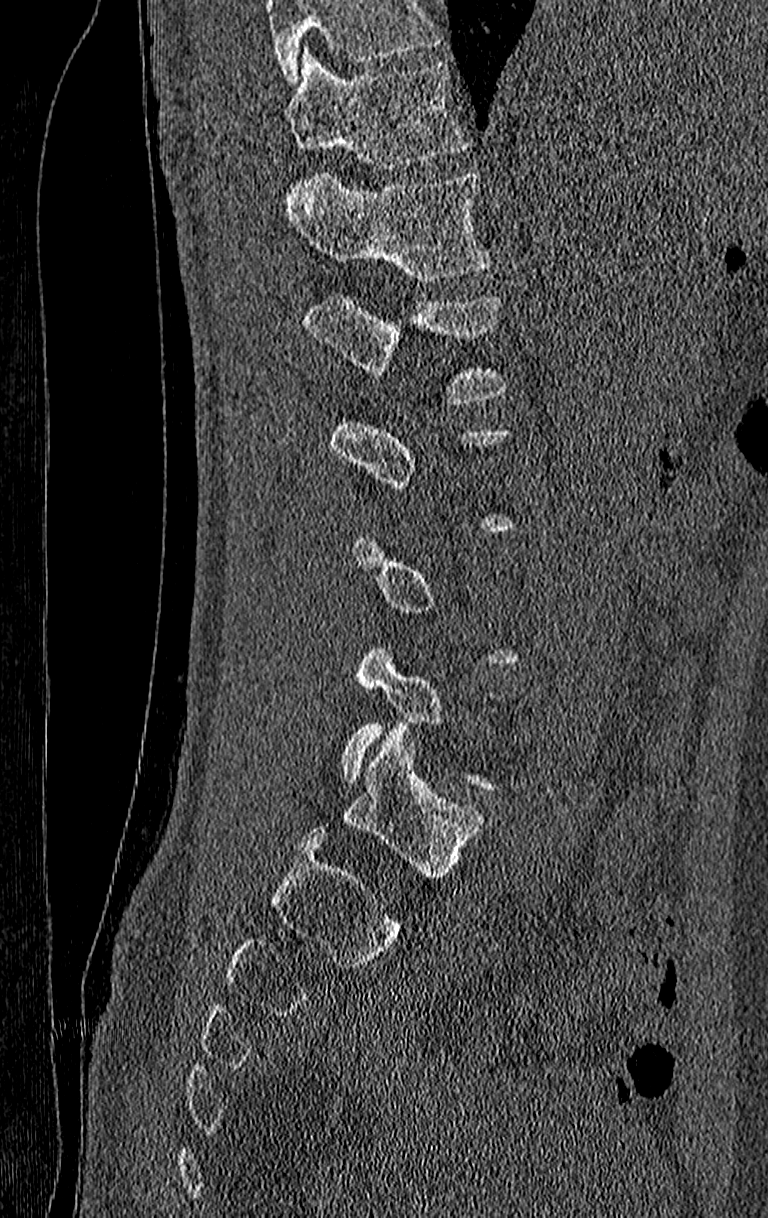
Spine computed tomography · sagittal reformat
A vertebra gets a box only on the slices from the first to the last where its cross-section is at least a third of its largest; on a slice outside that range it gets none.
A vertebra cut off by the top edge of the scan is not labeled and has no box.
<vertebrae><v name="T11" x1="288" y1="48" x2="469" y2="169"/><v name="T12" x1="288" y1="173" x2="495" y2="282"/><v name="L1" x1="306" y1="290" x2="513" y2="405"/></vertebrae>